Spine CT — sagittal reformat — 512x933 px — the image is 140 mm wide — some of the image was removed or blocked out with constant pixels
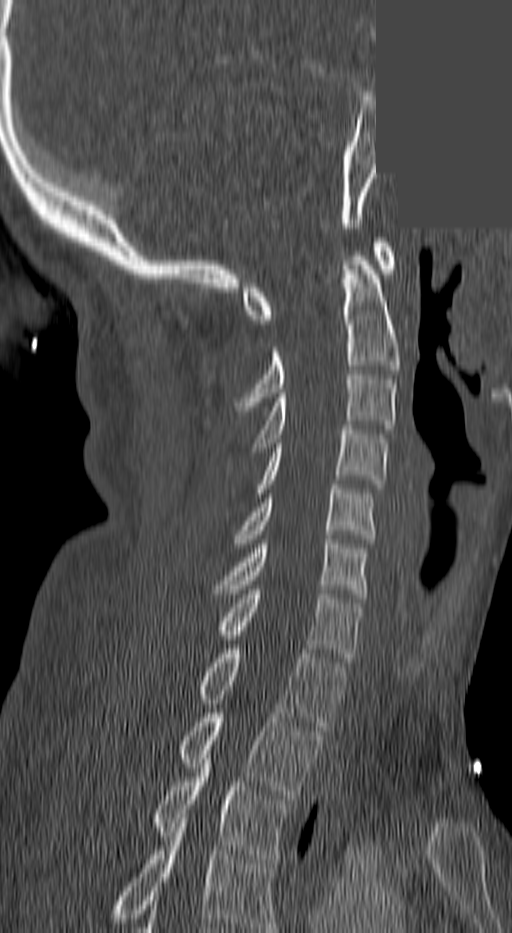 Each box given as x1,y1,x2,y2. In this scan, the topmost labeled vertebra is C1 and the lowest is T3. The labeled vertebrae in this slice are: T3 at x1=151, y1=763, x2=289, y2=863, T2 at x1=177, y1=713, x2=321, y2=799, T1 at x1=195, y1=649, x2=344, y2=730, C7 at x1=217, y1=590, x2=362, y2=662, C6 at x1=213, y1=539, x2=366, y2=598, C5 at x1=235, y1=485, x2=373, y2=543, C4 at x1=257, y1=425, x2=388, y2=493, C3 at x1=252, y1=375, x2=395, y2=456, C2 at x1=236, y1=256, x2=399, y2=406, C1 at x1=243, y1=242, x2=395, y2=324.